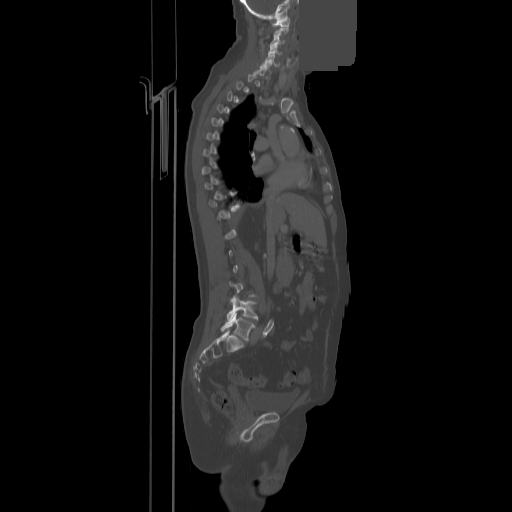

Computed tomography of the spine. sagittal view. Bone window (WL 400, WW 1800). a uniform gray block covers part of the image
Boxes below are [x1, y1, x2, y2] in pixels.
Each vertebra is boxed only on the slices from the first to the last where its cross-section reaches a third of its largest, so a slice outside that range leaves it unboxed.
{"vertebrae":{"L5":[221,313,254,340],"L4":[227,297,257,320],"C5":[265,53,277,65],"C4":[268,44,280,55],"C3":[270,34,284,47],"C1":[272,17,289,27]}}